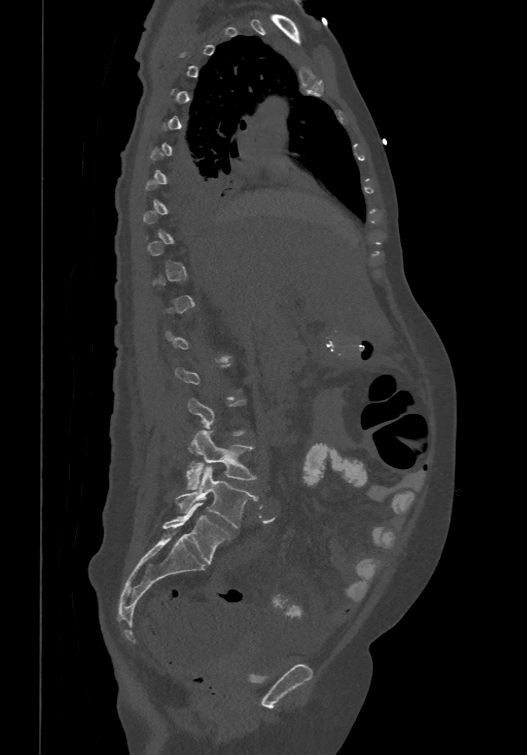

Computed tomography of the spine; sagittal view. Coordinates as <box>x1,y1,x2,y2</box>. A vertebra gets a box only on the slices from the first to the last where its cross-section is at least a third of its largest; on a slice outside that range it gets none. The labels name a sixth lumbar vertebra for this spine: L6, after L5. 3 vertebrae labeled — L4 at <box>185,431,257,488</box>; L5 at <box>176,467,257,527</box>; L6 at <box>163,502,230,564</box>.